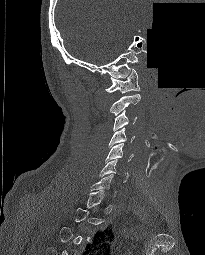
Spine computed tomography. sagittal view. Bone window (WL 400, WW 1800). a region of this slice is masked with a uniform fill

Bounding boxes as [x1, y1, x2, y2] in pixel coordinates.
Each vertebra is boxed only on the slices from the first to the last where its cross-section reaches a third of its largest, so a slice outside that range leaves it unboxed.
C6: [99, 159, 128, 182]
C5: [105, 143, 133, 163]
C4: [108, 127, 135, 147]
C3: [113, 110, 137, 131]
C2: [110, 93, 140, 115]
C1: [105, 69, 140, 93]